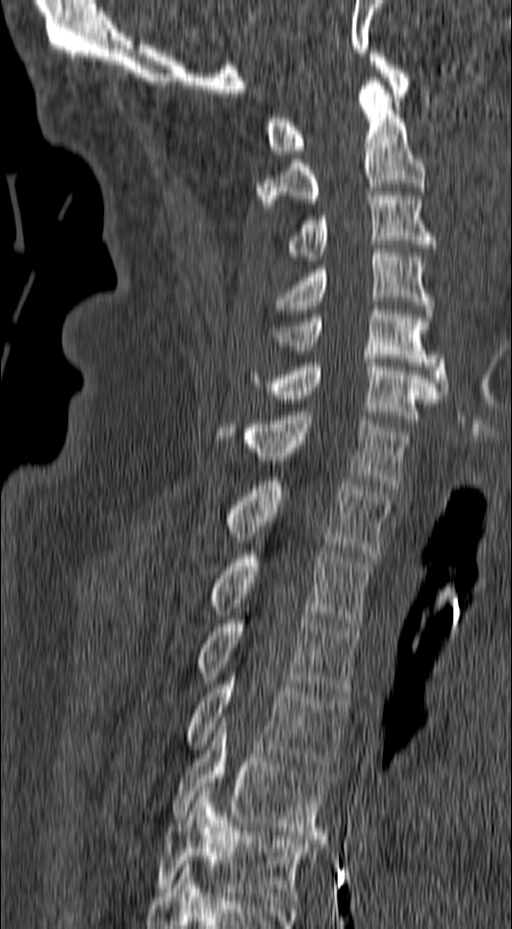

Spine computed tomography; 157 mm image width; sagittal view; 512x929 px

Boxes: x1 y1 x2 y2 (pixel coords, space-separated). Vertebrae labeled: T6 at 155 791 313 904, T5 at 171 717 330 839, T4 at 185 669 349 769, T3 at 197 616 359 696, T2 at 210 546 372 627, T1 at 226 477 391 557, C7 at 218 412 411 488, C6 at 247 359 441 423, C5 at 269 306 448 394, C4 at 274 249 433 317, C3 at 285 188 437 260, C2 at 256 77 425 207, C1 at 263 53 409 154.